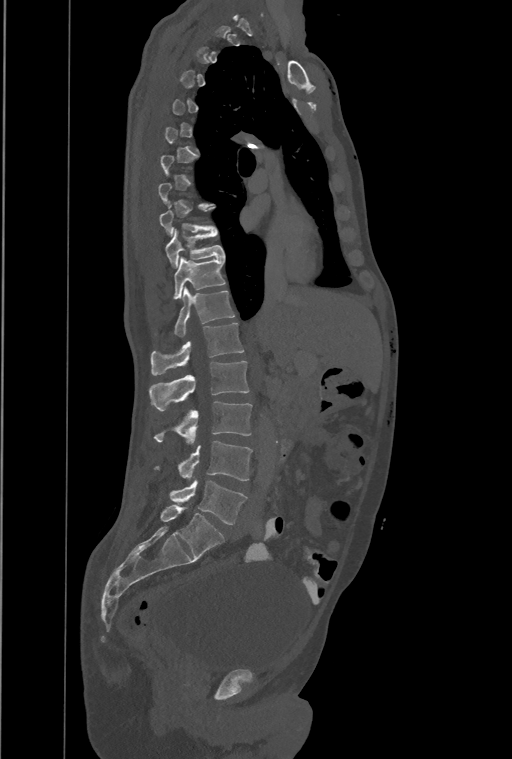

CT; sagittal view; image 461 mm wide
Coordinates as <box>x1,y1,x2,y2</box>.
A vertebra gets a box only on the slices from the first to the last where its cross-section is at least a third of its largest; on a slice outside that range it gets none.
In this scan, the topmost labeled vertebra is T1 and the lowest is L4.
In these labels the spine has a T13, a thirteenth thoracic vertebra, between T12 and L1.
T10: <box>165,228,224,267</box>
T11: <box>174,257,225,298</box>
T12: <box>175,287,234,336</box>
T13: <box>151,322,243,375</box>
L1: <box>150,361,248,410</box>
L2: <box>154,401,252,441</box>
L3: <box>155,441,252,480</box>
L4: <box>170,480,246,525</box>